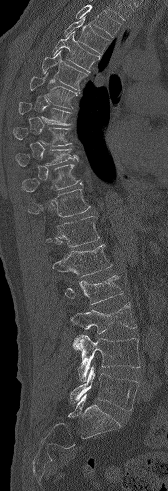 CT, spine · sagittal view · Bone window (WL 400, WW 1800) · 168x491 px. Columns x1, y1, x2, y2 give each box's top-left and bottom-right pixels.
No box is given to a vertebra that the top edge of the scan cuts off.
| vertebra | x1 | y1 | x2 | y2 |
|---|---|---|---|---|
| T3 | 63 | 16 | 109 | 54 |
| T4 | 52 | 31 | 100 | 71 |
| T5 | 42 | 50 | 87 | 89 |
| T6 | 30 | 73 | 77 | 109 |
| T7 | 18 | 102 | 71 | 125 |
| T8 | 13 | 127 | 71 | 146 |
| T9 | 15 | 148 | 78 | 166 |
| T10 | 22 | 164 | 82 | 192 |
| T11 | 28 | 189 | 91 | 217 |
| T12 | 46 | 216 | 99 | 247 |
| L1 | 52 | 244 | 112 | 277 |
| L2 | 64 | 275 | 123 | 304 |
| L3 | 70 | 302 | 136 | 333 |
| L4 | 72 | 334 | 139 | 381 |
| L5 | 69 | 366 | 139 | 410 |